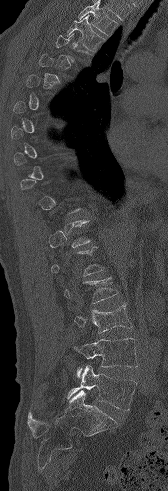 Spine computed tomography; sagittal view
Each vertebra is boxed only on the slices from the first to the last where its cross-section reaches a third of its largest, so a slice outside that range leaves it unboxed.
Vertebrae that run past the top of the scan are left unlabeled.
<vertebrae><v name="T3" x1="67" y1="15" x2="105" y2="51"/><v name="L2" x1="64" y1="276" x2="118" y2="303"/><v name="L3" x1="74" y1="303" x2="132" y2="333"/><v name="L4" x1="73" y1="338" x2="138" y2="377"/><v name="L5" x1="67" y1="365" x2="137" y2="410"/></vertebrae>